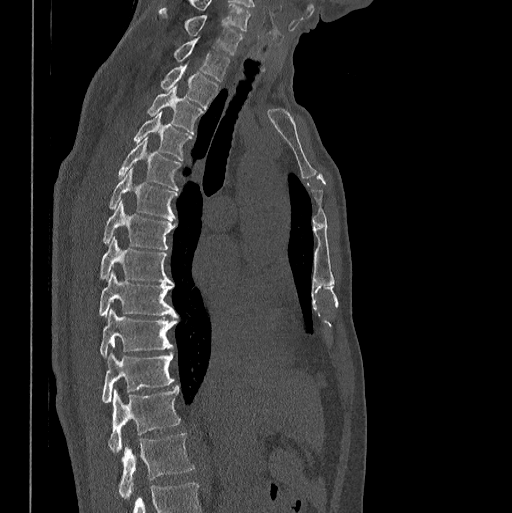

Spine computed tomography. the image is 398 mm wide. sagittal view. Bone window (WL 400, WW 1800)
Each box given as x1,y1,x2,y2.
Vertebra bounding boxes:
- L1: x1=118, y1=433, x2=194, y2=500
- T12: x1=108, y1=386, x2=180, y2=453
- T11: x1=101, y1=344, x2=174, y2=403
- T10: x1=100, y1=307, x2=176, y2=358
- T9: x1=99, y1=271, x2=178, y2=317
- T8: x1=100, y1=236, x2=173, y2=283
- T7: x1=103, y1=200, x2=175, y2=249
- T6: x1=109, y1=167, x2=176, y2=220
- T5: x1=118, y1=138, x2=180, y2=189
- T4: x1=134, y1=111, x2=189, y2=160
- T3: x1=148, y1=86, x2=202, y2=132
- T2: x1=161, y1=63, x2=218, y2=108
- T1: x1=175, y1=38, x2=229, y2=81
- C7: x1=159, y1=7, x2=242, y2=56